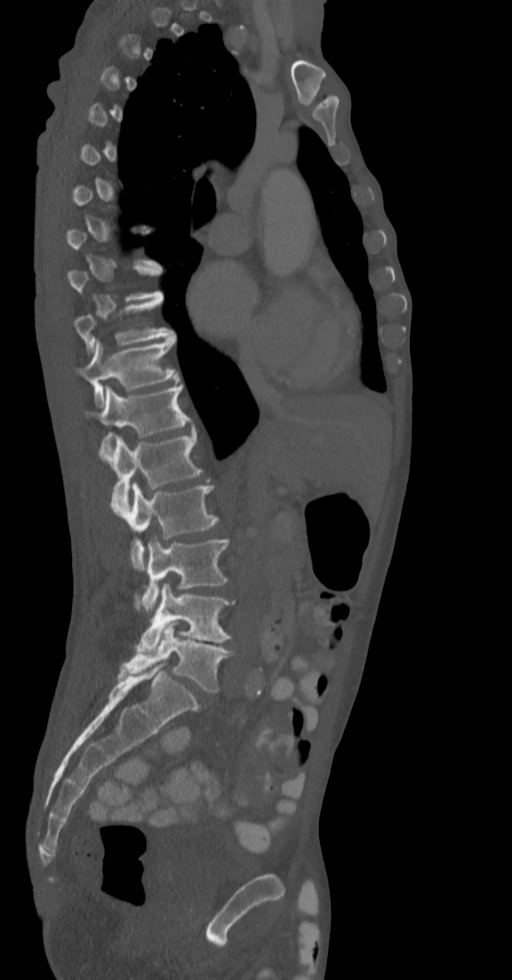

Spine computed tomography. sagittal view. 512x980 px
Each box is [x1, y1, x2, y2] in pixels: top-left corner, then bottom-right corner.
Not every vertebra on this slice has a box: a vertebra is boxed only from the first to the last slice where its cross-section is at least a third of its largest, and this slice is outside that range for at least one of them.
{"vertebrae":{"T10":[74,296,174,351],"T11":[79,338,179,406],"T12":[85,384,194,452],"L1":[99,431,201,511],"L2":[112,483,218,569],"L3":[141,538,229,612],"L4":[138,584,235,654],"L5":[119,622,232,692]}}